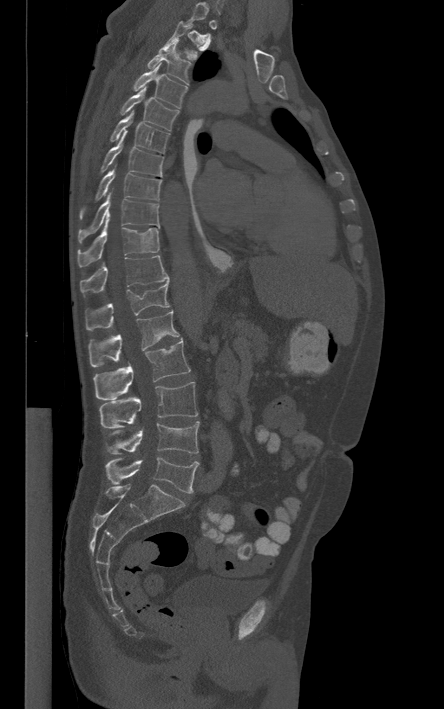

CT spine. 444 mm wide. sagittal view
A vertebra gets a box only on the slices from the first to the last where its cross-section is at least a third of its largest; on a slice outside that range it gets none.
<vertebrae><v name="T3" x1="146" y1="39" x2="191" y2="84"/><v name="T4" x1="132" y1="64" x2="188" y2="108"/><v name="T5" x1="120" y1="87" x2="179" y2="130"/><v name="T6" x1="109" y1="110" x2="170" y2="153"/><v name="T7" x1="100" y1="130" x2="163" y2="176"/><v name="T8" x1="79" y1="170" x2="161" y2="219"/><v name="T9" x1="78" y1="194" x2="159" y2="242"/><v name="T10" x1="77" y1="219" x2="159" y2="266"/><v name="T11" x1="80" y1="255" x2="169" y2="293"/><v name="T12" x1="85" y1="281" x2="169" y2="330"/><v name="L1" x1="89" y1="310" x2="179" y2="366"/><v name="L2" x1="94" y1="339" x2="190" y2="400"/><v name="L3" x1="100" y1="382" x2="197" y2="428"/><v name="L4" x1="106" y1="421" x2="199" y2="454"/><v name="L5" x1="105" y1="456" x2="198" y2="493"/></vertebrae>